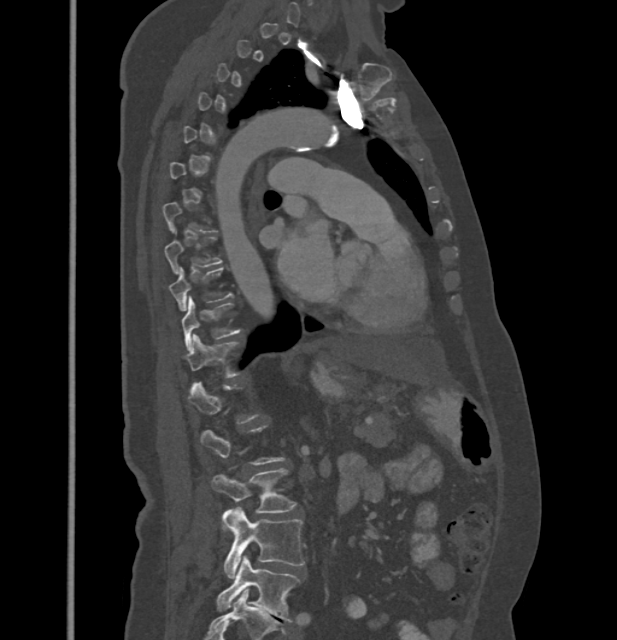
Spine CT. sagittal reformat. the image spans 432 mm across. bone window
A vertebra is boxed only from the first to the last slice where its cross-section is at least a third of its largest; slices outside that range leave it without a box.
<vertebrae><v name="T8" x1="164" y1="230" x2="222" y2="274"/><v name="T9" x1="169" y1="267" x2="233" y2="311"/><v name="T10" x1="181" y1="297" x2="240" y2="349"/><v name="T11" x1="186" y1="335" x2="239" y2="378"/><v name="L3" x1="211" y1="469" x2="296" y2="512"/><v name="L4" x1="223" y1="507" x2="305" y2="578"/><v name="L5" x1="217" y1="556" x2="299" y2="622"/></vertebrae>